Spine CT · sagittal plane, index 251 · image width 461 mm · scan covers 17 annotated vertebrae
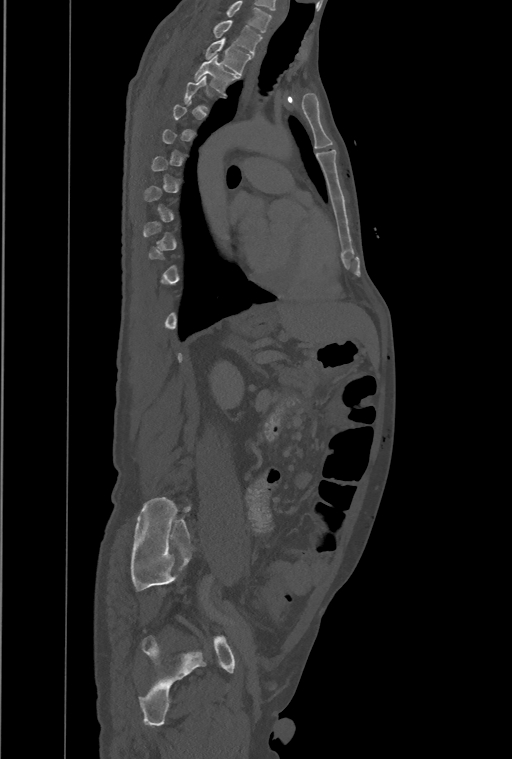

Box edges are left/top/right/bottom in pixels.
Each vertebra is boxed only on the slices from the first to the last where its cross-section reaches a third of its largest, so a slice outside that range leaves it unboxed.
Labels in this scan begin with T1 at the top and end with L4 at the bottom.
| vertebra | x1 | y1 | x2 | y2 |
|---|---|---|---|---|
| T1 | 214 | 20 | 262 | 55 |
| T2 | 205 | 38 | 252 | 75 |
| T3 | 195 | 55 | 238 | 94 |